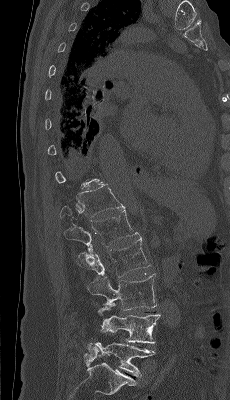
Spine computed tomography · sagittal view
Boxes: x1 y1 x2 y2 (pixel coords, space-separated). A vertebra gets a box only on the slices from the first to the last where its cross-section is at least a third of its largest; on a slice outside that range it gets none. The labeled vertebrae in this slice are: T12 at 59 184 125 219, L1 at 64 209 138 246, L2 at 77 236 150 277, L3 at 88 273 156 310, L4 at 98 302 160 343, L5 at 87 342 155 377.